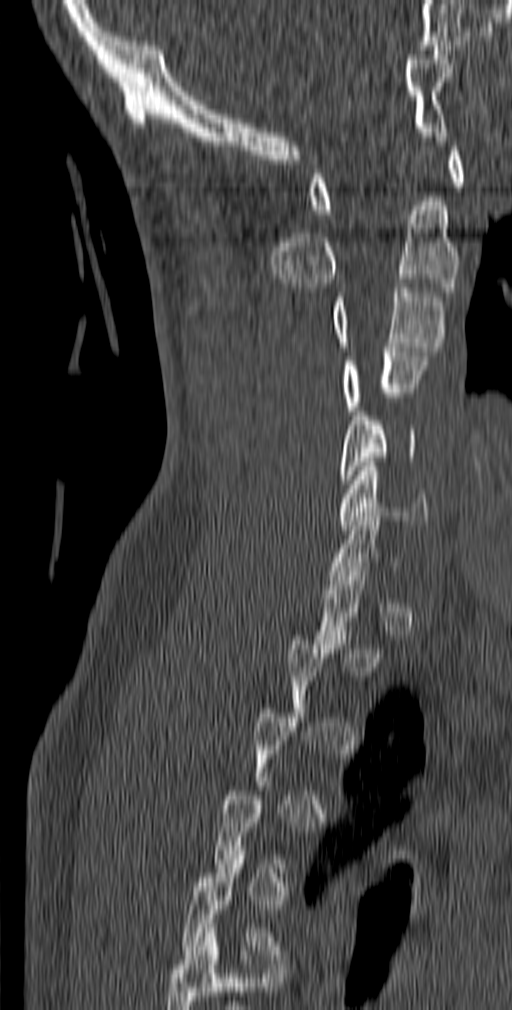

Spine computed tomography. sagittal view. Bone window (WL 400, WW 1800). 512x1010 px
Bounding boxes as [x1, y1, x2, y2] in pixel coordinates.
Each vertebra is boxed only on the slices from the first to the last where its cross-section reaches a third of its largest, so a slice outside that range leaves it unboxed.
Labels in this scan begin with C1 at the top and end with T5 at the bottom.
Vertebra bounding boxes:
- T5: [181, 850, 282, 959]
- C6: [338, 462, 428, 529]
- C5: [339, 411, 417, 484]
- C4: [341, 347, 428, 415]
- C3: [330, 283, 447, 351]
- C2: [271, 201, 459, 292]
- C1: [309, 146, 465, 214]